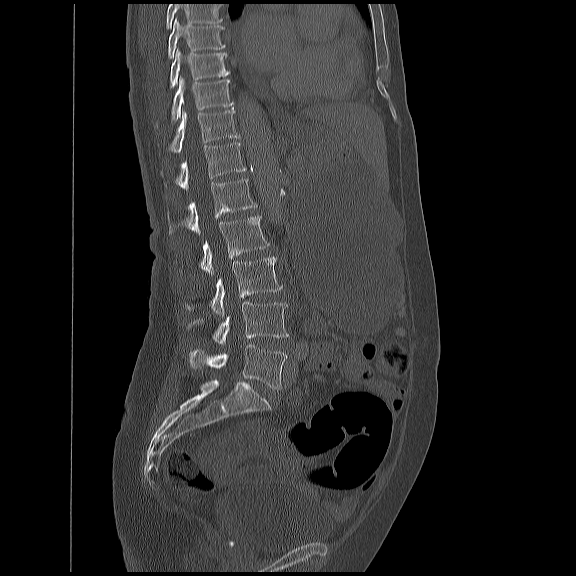

CT — sagittal view. Each box given as x1,y1,x2,y2.
Vertebrae that run past the top of the scan are left unlabeled.
Vertebra bounding boxes:
- T8: x1=168, y1=16, x2=224, y2=58
- T9: x1=168, y1=48, x2=229, y2=87
- T10: x1=154, y1=76, x2=233, y2=125
- T11: x1=167, y1=106, x2=239, y2=151
- T12: x1=163, y1=142, x2=244, y2=189
- L1: x1=167, y1=177, x2=256, y2=233
- L2: x1=199, y1=215, x2=269, y2=275
- L3: x1=184, y1=255, x2=281, y2=317
- L4: x1=186, y1=301, x2=289, y2=344
- L5: x1=189, y1=345, x2=286, y2=389